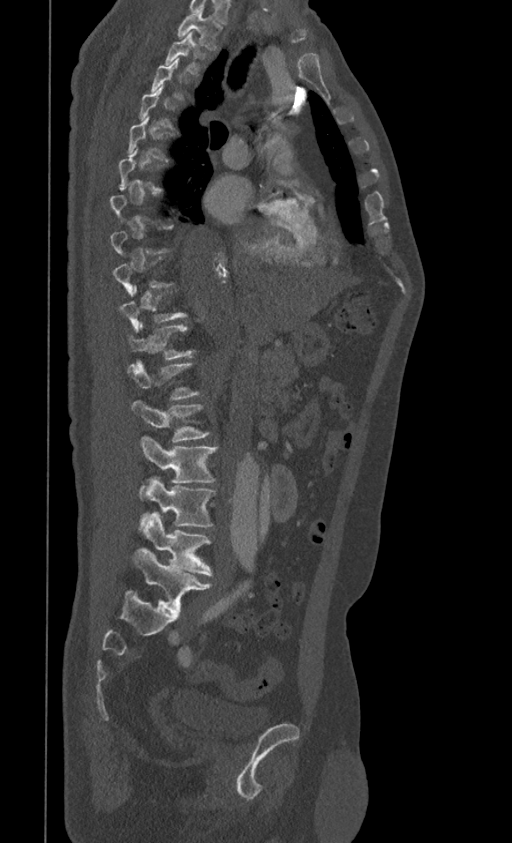 Spine CT · sagittal view · W/L 1800/400 HU · 512x843 px
Each vertebra is boxed only on the slices from the first to the last where its cross-section reaches a third of its largest, so a slice outside that range leaves it unboxed.
<vertebrae><v name="L5" x1="132" y1="547" x2="211" y2="611"/><v name="L4" x1="141" y1="516" x2="212" y2="575"/><v name="L3" x1="140" y1="477" x2="216" y2="527"/><v name="L2" x1="141" y1="437" x2="217" y2="483"/><v name="L1" x1="131" y1="401" x2="209" y2="441"/><v name="T12" x1="127" y1="360" x2="199" y2="400"/><v name="T11" x1="128" y1="322" x2="194" y2="359"/><v name="T5" x1="128" y1="115" x2="168" y2="161"/><v name="T2" x1="165" y1="31" x2="205" y2="74"/><v name="T1" x1="178" y1="8" x2="222" y2="49"/></vertebrae>